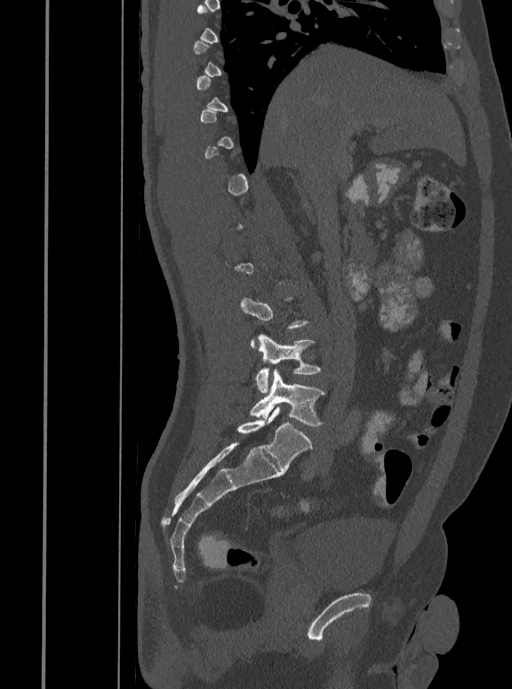
Computed tomography of the spine — sagittal reformat — 512x689 px
Box values are [left, top, right, bottom] in pixels.
Each vertebra is boxed only on the slices from the first to the last where its cross-section reaches a third of its largest, so a slice outside that range leaves it unboxed.
{"vertebrae":{"L4":[255,334,320,392],"L5":[250,369,324,426]}}